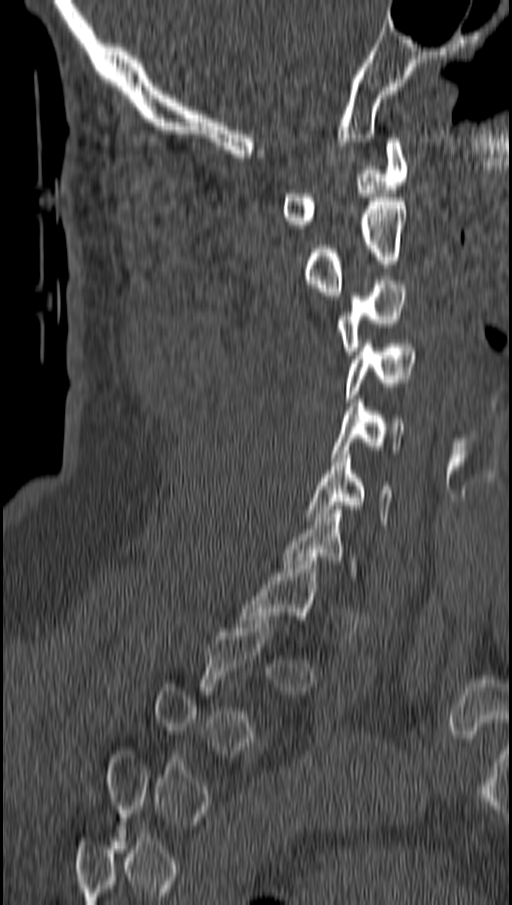 CT; sagittal view; bone window; 512x905 px
Columns x1, y1, x2, y2 give each box's top-left and bottom-right pixels.
A vertebra is boxed only from the first to the last slice where its cross-section is at least a third of its largest; slices outside that range leave it without a box.
| vertebra | x1 | y1 | x2 | y2 |
|---|---|---|---|---|
| C6 | 308 | 450 | 392 | 524 |
| C5 | 330 | 399 | 405 | 461 |
| C4 | 346 | 340 | 414 | 402 |
| C3 | 336 | 280 | 409 | 355 |
| C2 | 304 | 201 | 405 | 295 |
| C1 | 282 | 138 | 408 | 228 |